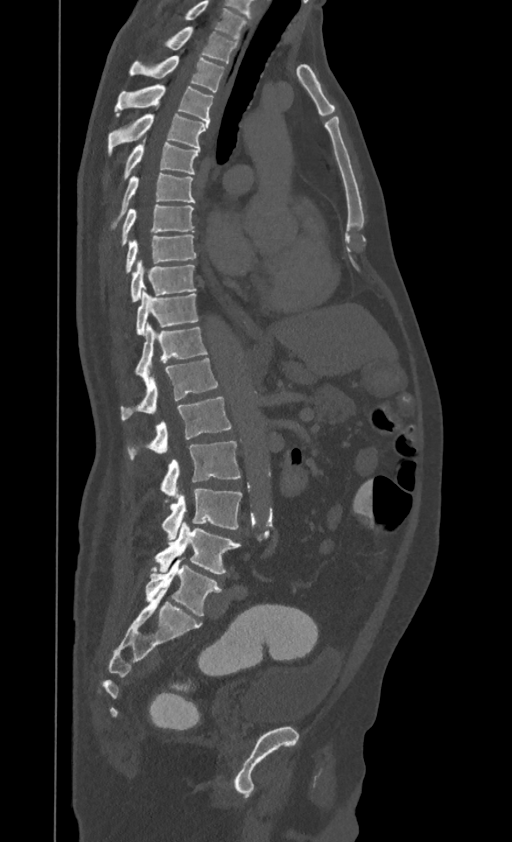
Computed tomography of the spine. sagittal view. 512x842 px
In the table, x1 and y1 are a box's top-left corner and x2 and y2 its bottom-right corner, in pixels.
This scan's labels start at T1 at the top and end at L4 at the bottom.
| vertebra | x1 | y1 | x2 | y2 |
|---|---|---|---|---|
| T1 | 164 | 27 | 237 | 63 |
| T2 | 129 | 56 | 223 | 92 |
| T3 | 115 | 84 | 213 | 124 |
| T4 | 109 | 114 | 208 | 153 |
| T5 | 123 | 139 | 200 | 177 |
| T6 | 111 | 173 | 195 | 229 |
| T7 | 122 | 204 | 193 | 245 |
| T8 | 126 | 234 | 196 | 272 |
| T9 | 131 | 260 | 196 | 301 |
| T10 | 136 | 289 | 197 | 335 |
| T11 | 135 | 324 | 206 | 375 |
| T12 | 120 | 358 | 218 | 420 |
| L1 | 127 | 397 | 231 | 459 |
| L2 | 161 | 441 | 240 | 497 |
| L3 | 162 | 489 | 241 | 539 |
| L4 | 154 | 523 | 240 | 573 |